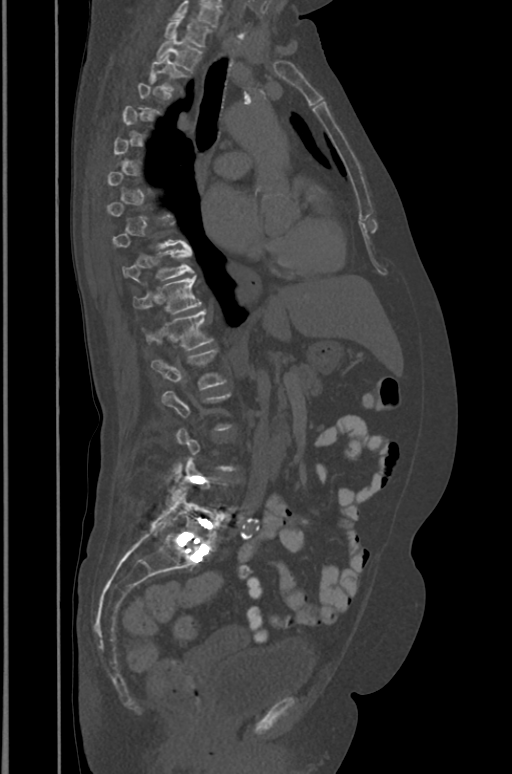

Spine CT; sagittal view; Bone window (WL 400, WW 1800); the image spans 391 mm across; 512x774 px

Each box is [x1, y1, x2, y2] in pixels: top-left corner, then bottom-right corner.
Each vertebra is boxed only on the slices from the first to the last where its cross-section reaches a third of its largest, so a slice outside that range leaves it unboxed.
The highest labeled vertebra in this scan is T1; the lowest is L5.
{"vertebrae":{"T1":[165,17,210,47],"T2":[157,35,202,70],"T3":[149,56,185,89],"T10":[122,247,193,280],"T11":[134,276,202,312],"T12":[147,310,212,349],"L1":[151,349,226,389],"L5":[152,491,222,549]}}